CT, spine · sagittal reformat · bone window
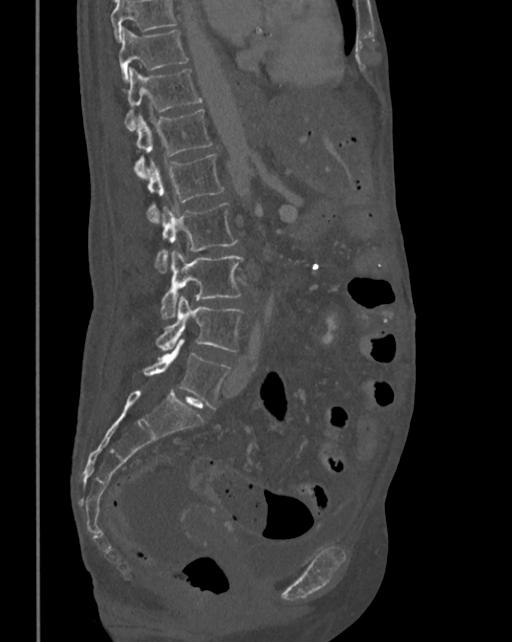

Box values are [left, top, right, bottom] in pixels.
Where the top of the scan cuts through a vertebra, that vertebra gets no label or box.
{"vertebrae":{"T10":[118,27,189,82],"T11":[124,68,202,130],"T12":[134,108,213,179],"L1":[146,153,225,224],"L2":[155,202,238,274],"L3":[161,250,243,319],"L4":[155,296,243,351],"L5":[142,338,231,410]}}